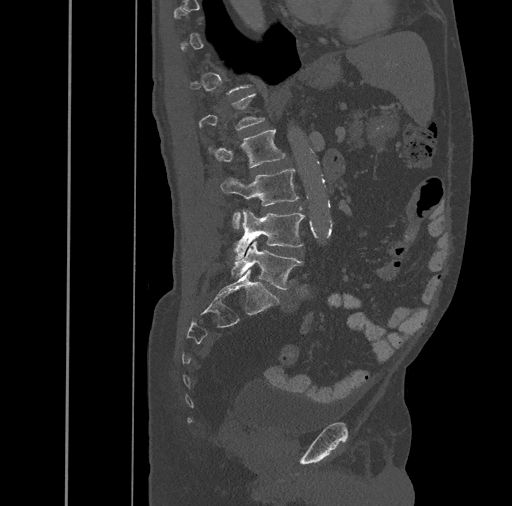
Computed tomography of the spine · sagittal view · the image spans 461 mm across. Box edges are left/top/right/bottom in pixels. Each vertebra is boxed only on the slices from the first to the last where its cross-section reaches a third of its largest, so a slice outside that range leaves it unboxed. 4 vertebrae labeled — L2 at left=209, top=129, right=285, bottom=167; L3 at left=220, top=168, right=298, bottom=227; L4 at left=234, top=211, right=304, bottom=260; L5 at left=231, top=241, right=302, bottom=290.